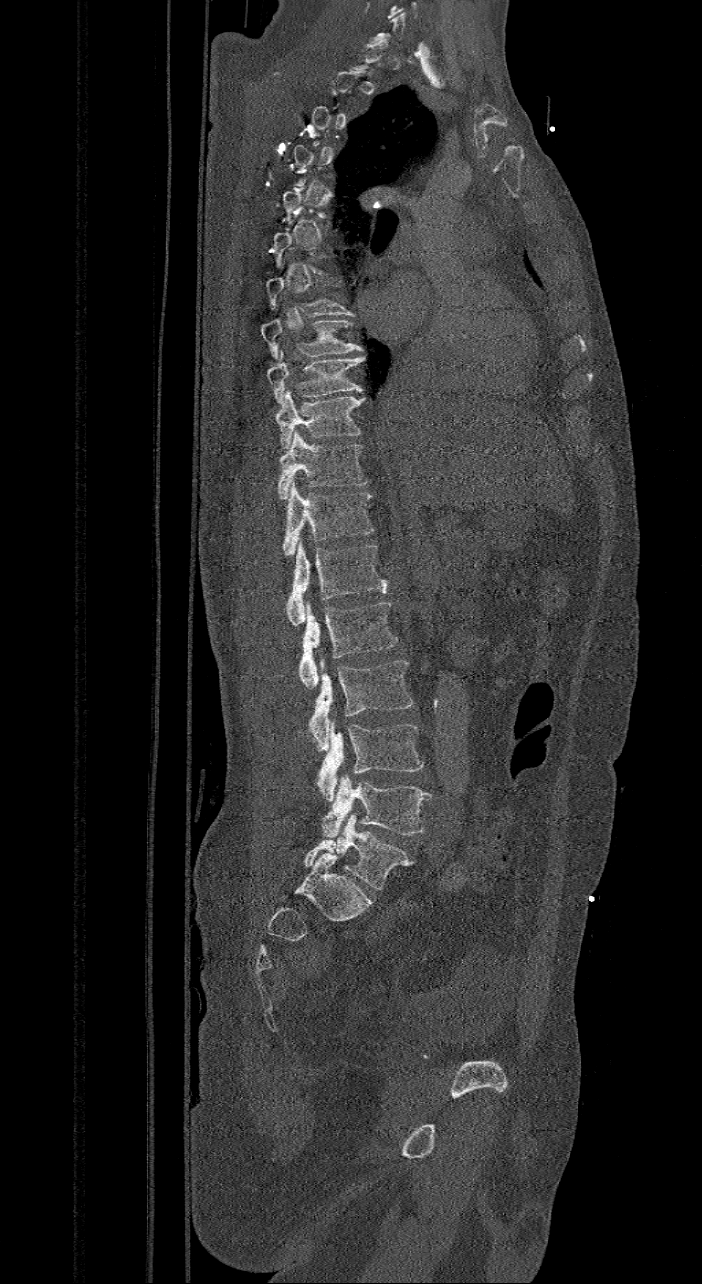 CT · sagittal view · W/L 1800/400 HU

Boxes: x1:y1:x2:y2 in pixels.
A vertebra is boxed only from the first to the last slice where its cross-section is at least a third of its largest; slices outside that range leave it without a box.
The labels name a sixth lumbar vertebra for this spine: L6, after L5.
T7: 266:277:355:315
T8: 262:317:364:359
T9: 266:350:364:403
T10: 275:390:364:448
T11: 278:430:369:498
T12: 281:482:375:558
L1: 286:541:387:626
L2: 299:602:398:688
L3: 304:659:414:750
L4: 315:723:424:801
L5: 322:774:432:837
L6: 303:814:414:890